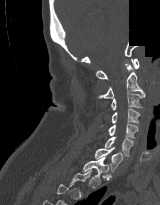
Computed tomography of the spine; sagittal view; Bone window (WL 400, WW 1800); an area of the scan was removed and filled with constant pixels
A vertebra gets a box only on the slices from the first to the last where its cross-section is at least a third of its largest; on a slice outside that range it gets none.
<vertebrae><v name="T1" x1="82" y1="157" x2="108" y2="184"/><v name="C7" x1="95" y1="147" x2="123" y2="170"/><v name="C6" x1="104" y1="136" x2="133" y2="156"/><v name="C5" x1="108" y1="124" x2="138" y2="138"/><v name="C4" x1="100" y1="108" x2="140" y2="127"/><v name="C3" x1="111" y1="93" x2="145" y2="110"/><v name="C2" x1="98" y1="64" x2="144" y2="98"/><v name="C1" x1="96" y1="58" x2="139" y2="79"/></vertebrae>